CT · the image is 171 mm wide · sagittal reformat
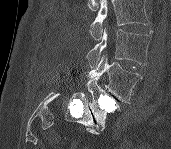

Boxes are (x1, y1, x2, y2) in pixels.
Where the top of the scan cuts through a vertebra, that vertebra gets no label or box.
Vertebra bounding boxes:
- L3: (87, 28, 153, 67)
- L4: (79, 55, 142, 103)
- L5: (86, 77, 120, 130)